CT, spine; sagittal view; Bone window (WL 400, WW 1800); 512x929 px
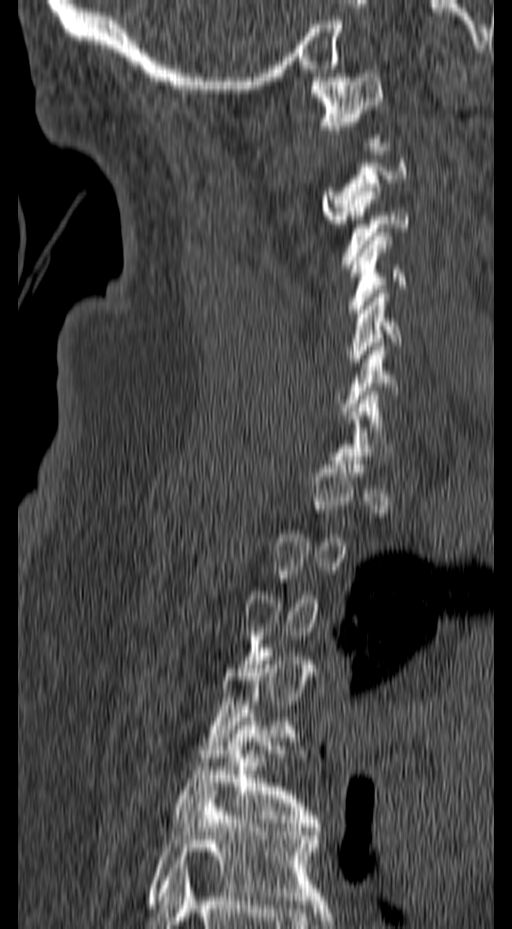
A vertebra gets a box only on the slices from the first to the last where its cross-section is at least a third of its largest; on a slice outside that range it gets none.
<vertebrae><v name="C1" x1="309" y1="73" x2="385" y2="142"/><v name="C3" x1="340" y1="183" x2="409" y2="268"/><v name="C4" x1="347" y1="232" x2="407" y2="313"/><v name="C5" x1="348" y1="289" x2="401" y2="370"/><v name="T5" x1="174" y1="713" x2="321" y2="831"/><v name="T6" x1="148" y1="787" x2="326" y2="904"/></vertebrae>